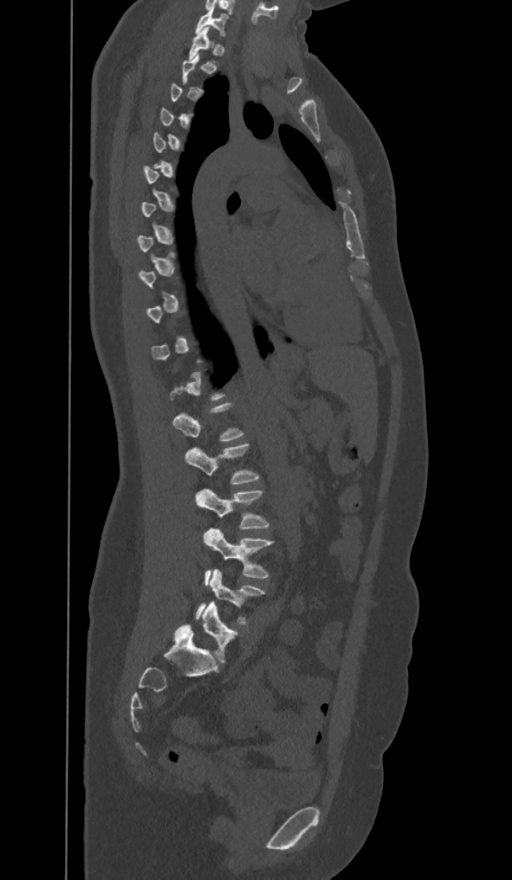 Spine CT — sagittal view — bone window. Boxes: x1:y1:x2:y2 in pixels.
A vertebra gets a box only on the slices from the first to the last where its cross-section is at least a third of its largest; on a slice outside that range it gets none.
These labels give the spine a sixth lumbar vertebra, L6, below L5.
L6: 185:602:237:663
L5: 196:569:264:624
L4: 204:529:273:579
L3: 196:488:269:529
L2: 185:444:259:483
C7: 196:7:227:36